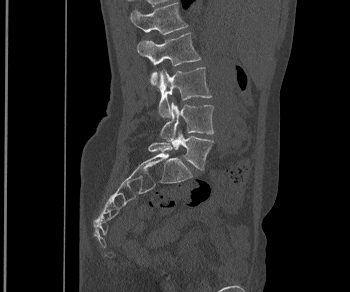
CT spine. sagittal view. bone-window reconstruction

Boxes: x1:y1:x2:y2 in pixels.
Vertebra bounding boxes:
- L1: 129:3:187:34
- L2: 137:33:201:86
- L3: 158:67:211:117
- L4: 159:102:214:141
- L5: 148:130:213:169